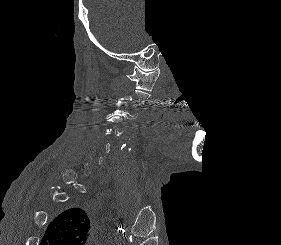
Spine computed tomography — sagittal view — bone-window reconstruction — an area of the scan was removed and filled with constant pixels
Each box is [x1, y1, x2, y2] in pixels: top-left corner, then bottom-right corner.
Each vertebra is boxed only on the slices from the first to the last where its cross-section reaches a third of its largest, so a slice outside that range leaves it unboxed.
{"vertebrae":{"C1":[126,65,159,92],"C3":[106,101,136,119]}}